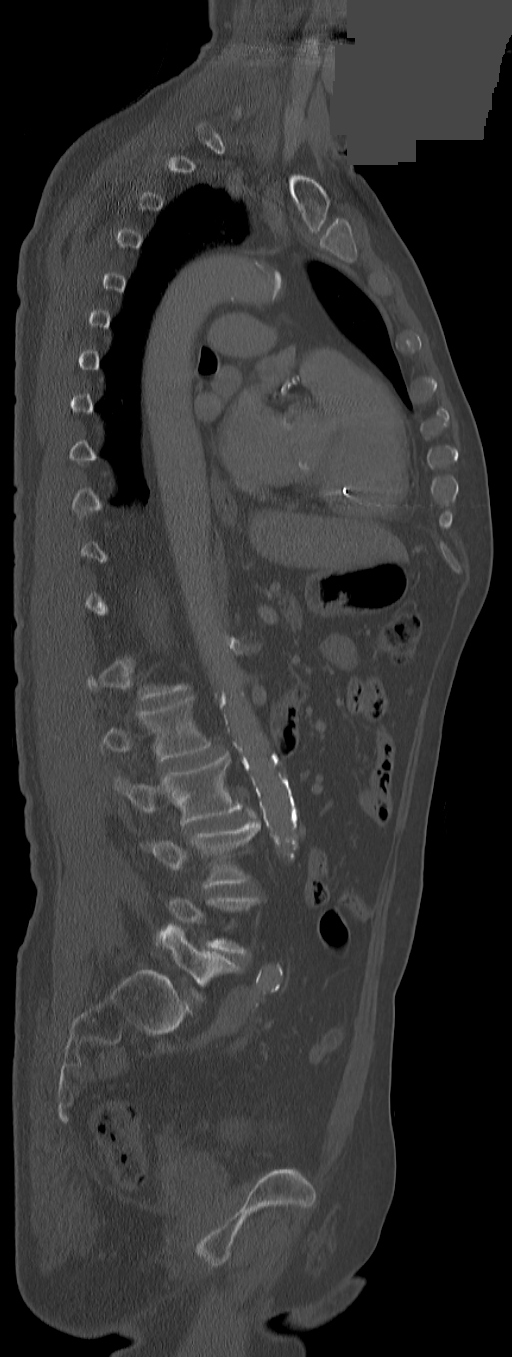 Computed tomography of the spine · sagittal view · 512x1357 px · a region of this slice is masked with a uniform fill
Box values are [left, top, right, bottom] in pixels.
Not every vertebra on this slice has a box: a vertebra is boxed only from the first to the last slice where its cross-section is at least a third of its largest, and this slice is outside that range for at least one of them.
{"vertebrae":{"L1":[101,697,211,761],"L2":[115,754,242,825],"L3":[148,822,260,886],"L5":[157,924,240,999]}}